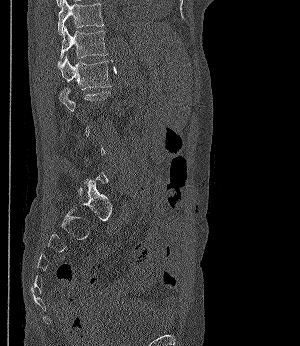
Computed tomography of the spine · the image spans 300 mm across · sagittal reformat · 300x346 px
Each box given as x1,y1,x2,y2.
A vertebra is boxed only from the first to the last slice where its cross-section is at least a third of its largest; slices outside that range leave it without a box.
Vertebra bounding boxes:
- T11: x1=58, y1=0, x2=104, y2=35
- T12: x1=58, y1=26, x2=107, y2=64
- L1: x1=57, y1=56, x2=110, y2=89